CT spine. image width 162 mm. Sagittal slice 90/162. scan covers 6 annotated vertebrae
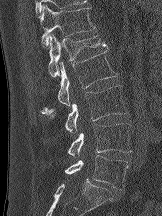
Boxes: x1:y1:x2:y2 in pixels.
L5: 64:155:128:190
L4: 67:123:131:156
L3: 64:85:127:132
L2: 41:50:118:114
L1: 48:34:107:77
T12: 38:4:95:48